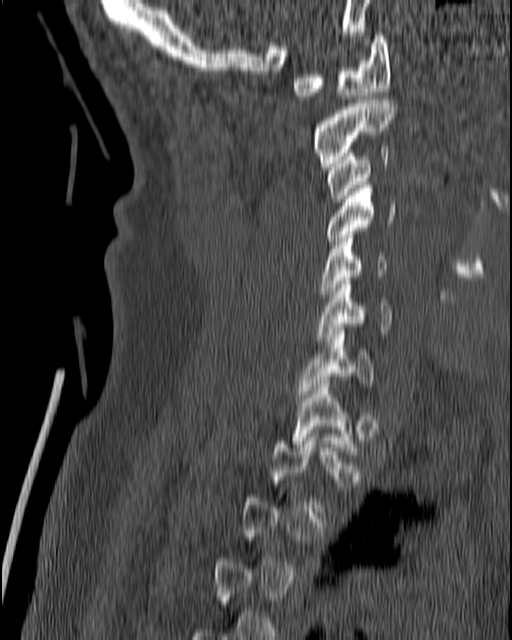
CT spine · sagittal reformat

Box values are [left, top, right, bottom] in pixels.
Not every vertebra on this slice has a box: a vertebra is boxed only from the first to the last slice where its cross-section is at least a third of its largest, and this slice is outside that range for at least one of them.
{"vertebrae":{"C1":[293,32,390,99],"C2":[311,100,397,166],"C3":[325,146,389,202],"C4":[317,181,395,248],"C5":[319,235,387,301],"C6":[314,277,394,340],"C7":[297,327,375,397],"T1":[291,377,358,454]}}